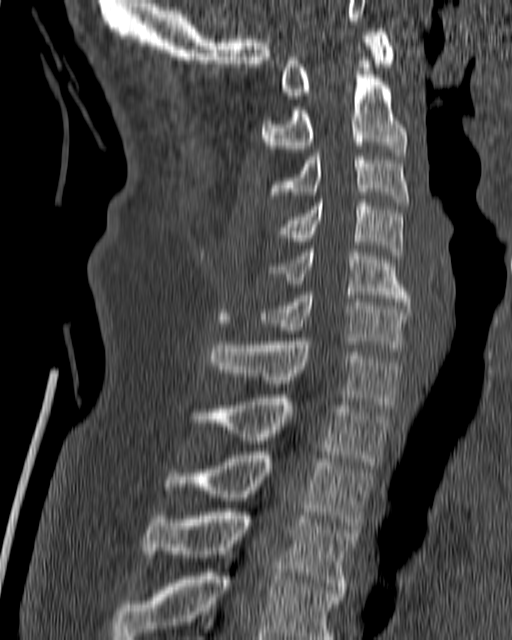 Spine computed tomography · sagittal view · 512x640 px
<vertebrae><v name="C1" x1="280" y1="28" x2="395" y2="99"/><v name="C2" x1="261" y1="57" x2="407" y2="155"/><v name="C3" x1="270" y1="149" x2="409" y2="205"/><v name="C4" x1="280" y1="199" x2="404" y2="259"/><v name="C5" x1="271" y1="249" x2="410" y2="305"/><v name="C6" x1="259" y1="292" x2="410" y2="347"/><v name="C7" x1="209" y1="338" x2="401" y2="408"/><v name="T1" x1="190" y1="395" x2="390" y2="465"/><v name="T2" x1="164" y1="452" x2="373" y2="529"/><v name="T3" x1="143" y1="508" x2="355" y2="593"/><v name="T4" x1="112" y1="569" x2="341" y2="639"/></vertebrae>